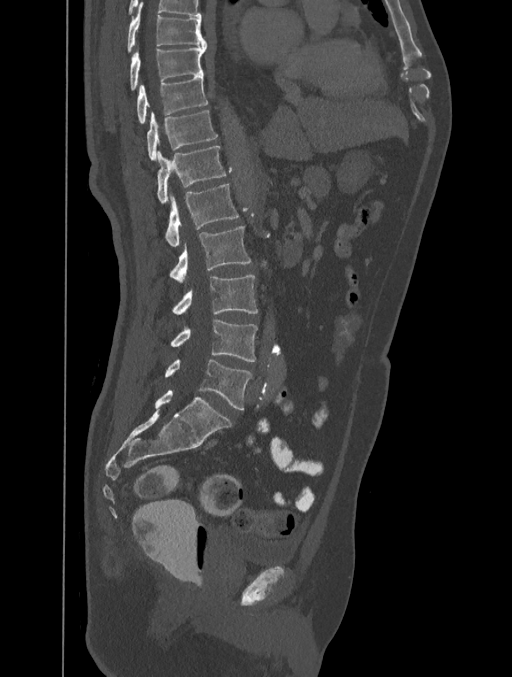
Spine computed tomography. 401 mm wide. sagittal reformat. Each box given as x1,y1,x2,y2. 10 vertebrae labeled — T8 at x1=126, y1=6, x2=207, y2=53; T9 at x1=129, y1=44, x2=207, y2=91; T10 at x1=136, y1=75, x2=208, y2=123; T11 at x1=147, y1=110, x2=217, y2=160; T12 at x1=157, y1=146, x2=226, y2=204; L1 at x1=165, y1=184, x2=239, y2=247; L2 at x1=168, y1=226, x2=250, y2=282; L3 at x1=171, y1=275, x2=258, y2=313; L4 at x1=171, y1=319, x2=257, y2=362; L5 at x1=165, y1=359, x2=252, y2=409.